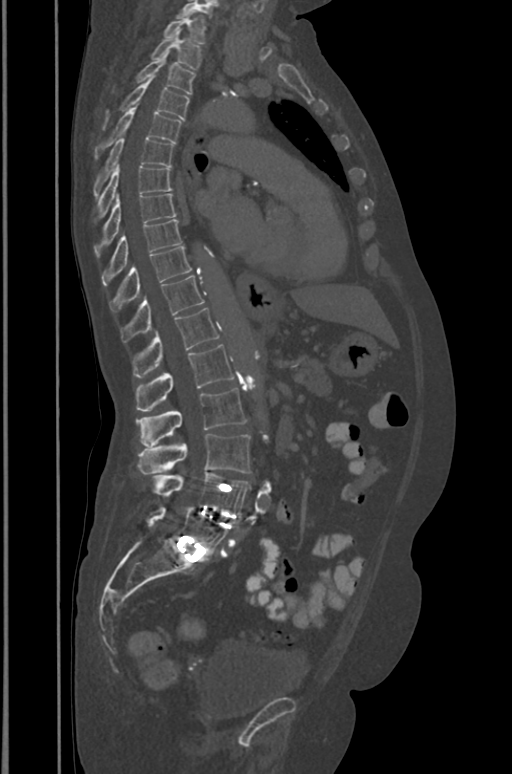

Computed tomography of the spine · the image spans 391 mm across · sagittal view · W/L 1800/400 HU. Boxes: x1 y1 x2 y2 (pixel coords, space-separated).
Vertebra bounding boxes:
- T1: 164 12 206 44
- T2: 151 33 201 69
- T3: 135 51 195 94
- T4: 102 78 189 128
- T5: 94 106 181 158
- T6: 94 137 173 197
- T7: 98 164 171 217
- T8: 96 193 176 257
- T9: 102 219 181 285
- T10: 109 245 192 311
- T11: 120 276 205 342
- T12: 132 307 219 377
- L1: 136 344 233 411
- L2: 136 389 245 447
- L3: 137 434 250 474
- L4: 153 472 250 513
- L5: 143 506 227 555